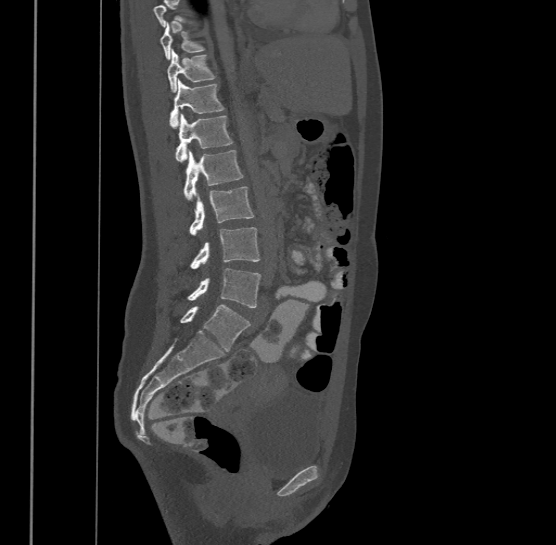
CT, spine; sagittal view; image width 500 mm

Each row gives a vertebra's box as x1, y1, x2, y2 in pixels: top-left corner, then bottom-right corner.
A vertebra cut off by the top edge of the scan is not labeled and has no box.
This scan's labels start at T9 at the top and end at L4 at the bottom.
| vertebra | x1 | y1 | x2 | y2 |
|---|---|---|---|---|
| L4 | 188 | 268 | 261 | 307 |
| L3 | 190 | 227 | 261 | 268 |
| L2 | 190 | 186 | 253 | 235 |
| L1 | 183 | 150 | 242 | 200 |
| T12 | 176 | 113 | 232 | 161 |
| T11 | 169 | 78 | 224 | 128 |
| T10 | 167 | 49 | 216 | 91 |
| T9 | 160 | 24 | 204 | 60 |